Computed tomography of the spine · 363 mm across the image · sagittal reformat · W/L 1800/400 HU · 512x612 px
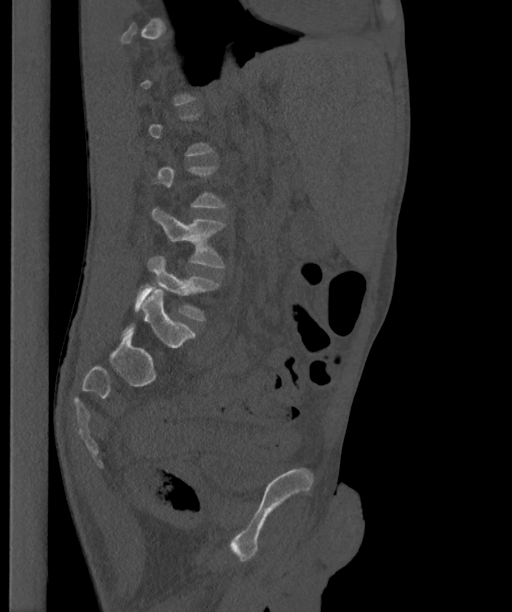
Boxes are (x1, y1, x2, y2) in pixels. A vertebra gets a box only on the slices from the first to the last where its cross-section is at least a third of its largest; on a slice outside that range it gets none. In these labels the spine has an L6, a sixth lumbar vertebra below L5. Vertebrae labeled: L6 at (122, 289, 195, 347), L5 at (134, 255, 219, 320), L4 at (152, 207, 224, 267).